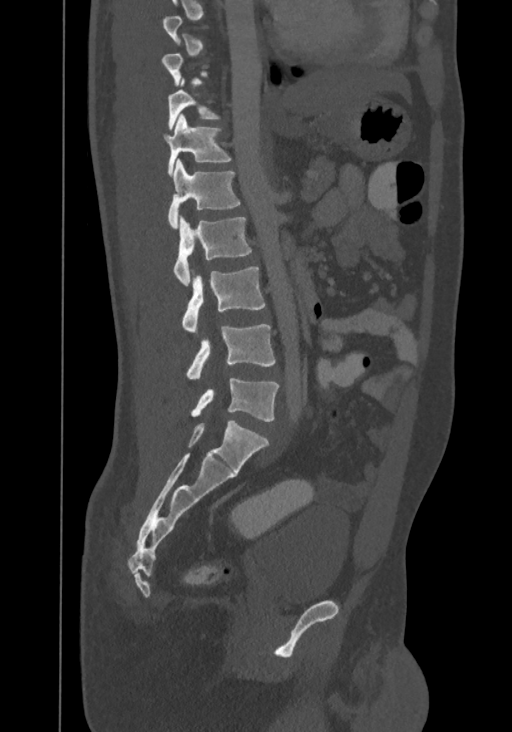

CT, spine; sagittal view; bone-window reconstruction; 512x732 px
Boxes are (x1, y1, x2, y2) in pixels.
A vertebra is boxed only from the first to the last slice where its cross-section is at least a third of its largest; slices outside that range leave it without a box.
The highest labeled vertebra in this scan is T8; the lowest is L4.
T10: (167, 78, 218, 128)
T11: (164, 114, 230, 175)
T12: (167, 159, 240, 228)
L1: (174, 215, 251, 287)
L2: (183, 266, 265, 333)
L3: (187, 324, 275, 379)
L4: (191, 378, 279, 421)